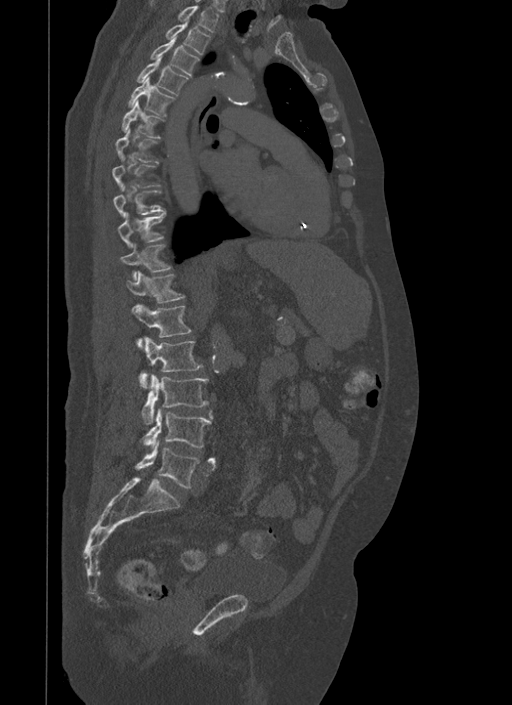

Computed tomography of the spine; sagittal reformat; W/L 1800/400 HU
Boxes: x1:y1:x2:y2 in pixels.
A vertebra gets a box only on the slices from the first to the last where its cross-section is at least a third of its largest; on a slice outside that range it gets none.
Vertebra bounding boxes:
- L5: 136:440:199:487
- L4: 143:409:212:448
- L3: 142:374:208:424
- L2: 139:337:202:388
- L1: 132:304:191:348
- T12: 125:270:185:303
- T11: 119:244:171:280
- T10: 117:212:165:247
- T9: 113:186:166:216
- T7: 116:128:159:163
- T6: 121:100:163:137
- T5: 127:77:174:116
- T4: 138:55:188:95
- T3: 151:35:199:75
- T2: 166:20:210:54
- T1: 149:3:218:32